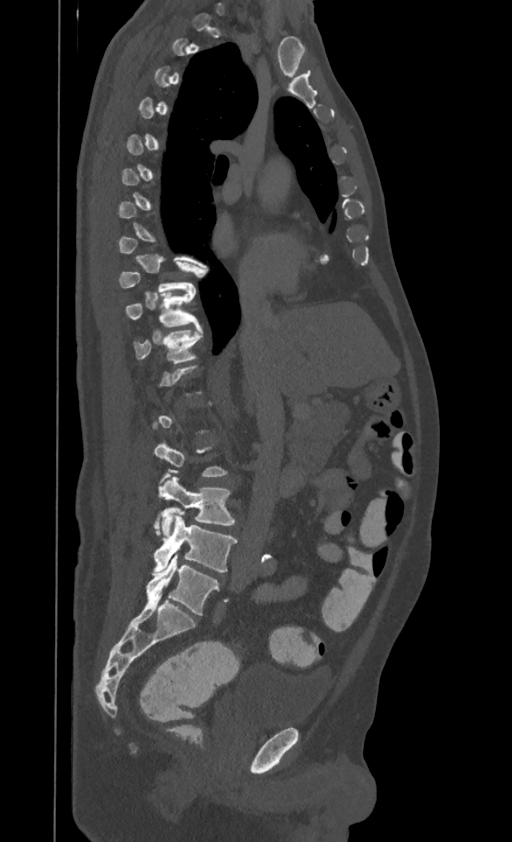
Spine CT; sagittal view; the image is 395 mm wide; 512x842 px
Each vertebra is boxed only on the slices from the first to the last where its cross-section reaches a third of its largest, so a slice outside that range leaves it unboxed.
The highest labeled vertebra in this scan is T1; the lowest is L4.
<vertebrae><v name="L4" x1="153" y1="513" x2="237" y2="573"/><v name="L3" x1="154" y1="475" x2="235" y2="536"/><v name="T11" x1="135" y1="327" x2="202" y2="363"/><v name="T10" x1="126" y1="290" x2="198" y2="327"/><v name="T9" x1="119" y1="261" x2="195" y2="294"/></vertebrae>